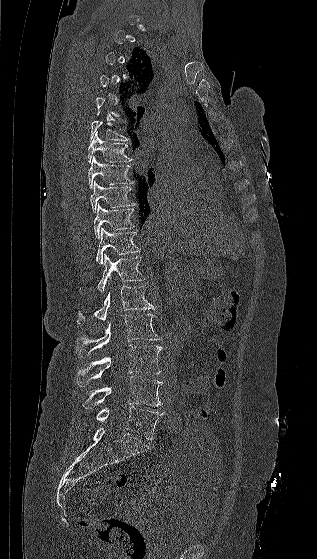 Computed tomography of the spine · sagittal reformat · bone-window reconstruction · 317x559 px
Not every vertebra on this slice has a box: a vertebra is boxed only from the first to the last slice where its cross-section is at least a third of its largest, and this slice is outside that range for at least one of them.
<vertebrae><v name="T6" x1="90" y1="120" x2="129" y2="141"/><v name="T7" x1="87" y1="131" x2="132" y2="163"/><v name="T8" x1="88" y1="156" x2="134" y2="189"/><v name="T9" x1="90" y1="180" x2="135" y2="213"/><v name="T10" x1="94" y1="203" x2="134" y2="238"/><v name="T11" x1="95" y1="227" x2="140" y2="264"/><v name="T12" x1="96" y1="253" x2="146" y2="292"/><v name="L1" x1="77" y1="285" x2="156" y2="323"/><v name="L2" x1="76" y1="314" x2="161" y2="356"/><v name="L3" x1="77" y1="344" x2="162" y2="385"/><v name="L4" x1="83" y1="376" x2="162" y2="408"/><v name="L5" x1="96" y1="406" x2="163" y2="440"/></vertebrae>